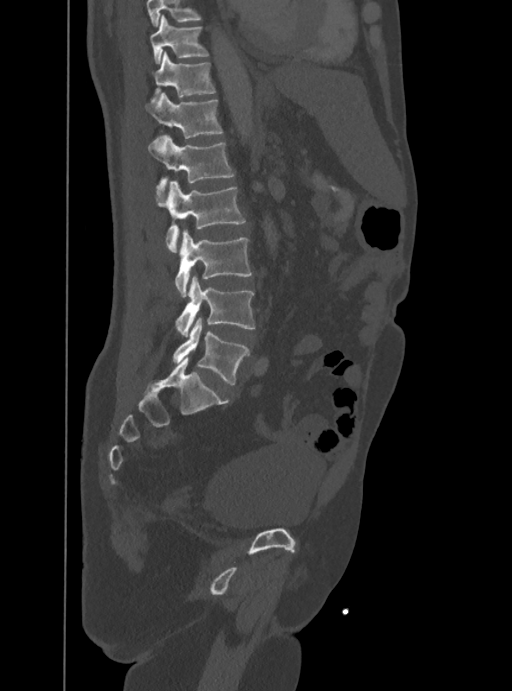
CT, spine; sagittal view; W/L 1800/400 HU; 512x691 px; 388 mm wide

Box edges are left/top/right/bottom in pixels. Where the top of the scan cuts through a vertebra, that vertebra gets no label or box. Vertebrae labeled: L5 at left=173, top=318, right=248, bottom=384, L4 at left=175, top=274, right=255, bottom=336, L3 at left=175, top=229, right=251, bottom=297, L2 at left=157, top=181, right=244, bottom=252, L1 at left=148, top=134, right=234, bottom=194, T12 at left=145, top=93, right=222, bottom=139, T11 at left=152, top=51, right=215, bottom=99, T10 at left=149, top=14, right=207, bottom=63.